CT spine · sagittal reformat · Bone window (WL 400, WW 1800) · 168x491 px · 15 vertebrae labeled in this scan
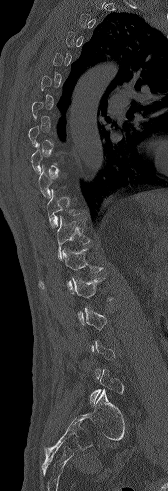
Boxes: x1 y1 x2 y2 (pixel coords, space-separated). Each vertebra is boxed only on the slices from the first to the last where its cross-section reaches a third of its largest, so a slice outside that range leaves it unboxed. 3 vertebrae labeled — T11 at 47 189 80 228; T12 at 57 216 90 261; L1 at 38 248 103 293.